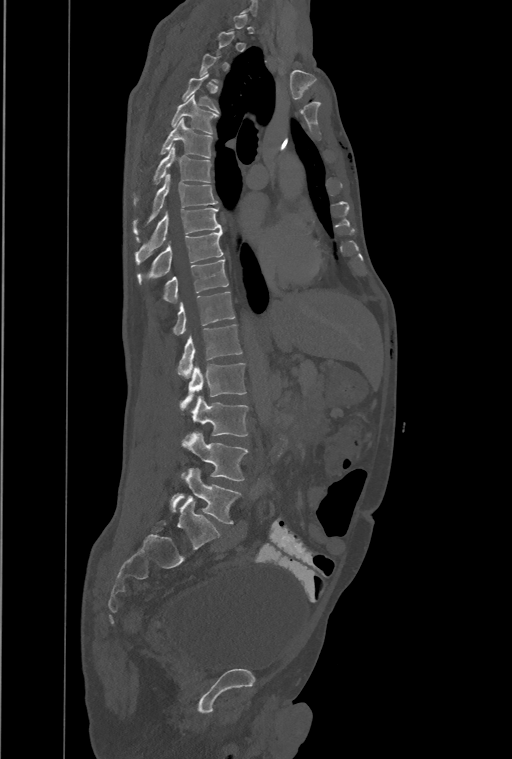

Computed tomography of the spine; sagittal view. Boxes: x1:y1:x2:y2 in pixels. A vertebra gets a box only on the slices from the first to the last where its cross-section is at least a third of its largest; on a slice outside that range it gets none. This scan's labels start at T1 at the top and end at L4 at the bottom. In these labels the spine has a T13, a thirteenth thoracic vertebra, between T12 and L1. 14 vertebrae labeled — T4 at 183:74:217:111; T5 at 172:95:218:134; T6 at 161:118:212:157; T7 at 134:145:211:203; T8 at 134:174:217:239; T9 at 135:208:222:264; T10 at 137:230:223:284; T11 at 163:259:228:301; T12 at 173:291:235:335; T13 at 178:325:242:378; L1 at 181:362:246:410; L2 at 192:396:248:436; L3 at 183:431:247:480; L4 at 171:468:241:524.